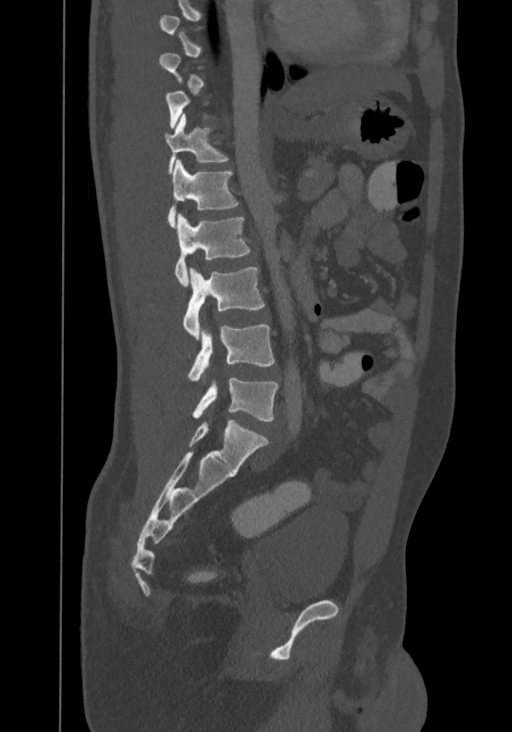

CT spine. sagittal reformat. 512x732 px
Each box given as x1,y1,x2,y2. A vertebra gets a box only on the slices from the first to the last where its cross-section is at least a third of its largest; on a slice outside that range it gets none. The highest labeled vertebra in this scan is T8; the lowest is L4. 6 vertebrae labeled — L4 at x1=192, y1=378, x2=278, y2=421; L3 at x1=188, y1=325, x2=275, y2=381; L2 at x1=183, y1=267, x2=264, y2=339; L1 at x1=174, y1=213, x2=250, y2=287; T12 at x1=167, y1=159, x2=237, y2=228; T11 at x1=164, y1=114, x2=228, y2=172.